CT; sagittal view; bone window
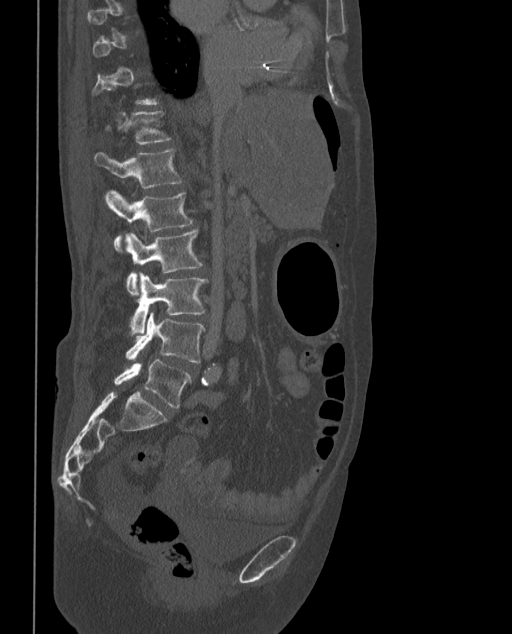 Box edges are left/top/right/bottom in pixels.
Not every vertebra on this slice has a box: a vertebra is boxed only from the first to the last slice where its cross-section is at least a third of its largest, and this slice is outside that range for at least one of them.
The labels name a sixth lumbar vertebra for this spine: L6, after L5.
| vertebra | x1 | y1 | x2 | y2 |
|---|---|---|---|---|
| L6 | 114 | 359 | 191 | 408 |
| L5 | 126 | 311 | 205 | 362 |
| L4 | 130 | 273 | 206 | 335 |
| L3 | 125 | 229 | 202 | 295 |
| L2 | 106 | 190 | 192 | 250 |
| L1 | 95 | 149 | 181 | 188 |